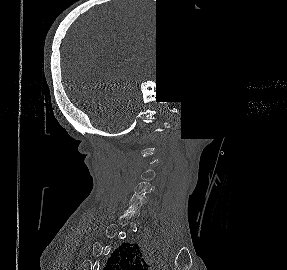

Computed tomography of the spine; sagittal view; bone-window reconstruction; 287x270 px; an area of the scan was removed and filled with constant pixels
Boxes are given in columns x1, y1, x2, y2, the pixel coordinates of their top-left and bottom-right corners.
Each vertebra is boxed only on the slices from the first to the last where its cross-section reaches a third of its largest, so a slice outside that range leaves it unboxed.
| vertebra | x1 | y1 | x2 | y2 |
|---|---|---|---|---|
| C4 | 141 | 169 | 155 | 180 |
| C5 | 134 | 181 | 155 | 192 |
| C6 | 130 | 191 | 150 | 205 |